CT spine; sagittal view; Bone window (WL 400, WW 1800); 350x292 px; 5 vertebrae labeled in this scan; image width 350 mm
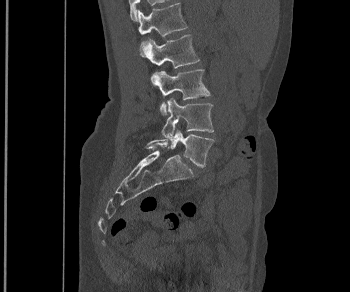
<vertebrae><v name="L1" x1="138" y1="2" x2="187" y2="36"/><v name="L2" x1="140" y1="34" x2="199" y2="68"/><v name="L3" x1="150" y1="69" x2="210" y2="114"/><v name="L4" x1="161" y1="98" x2="213" y2="140"/><v name="L5" x1="147" y1="129" x2="214" y2="167"/></vertebrae>